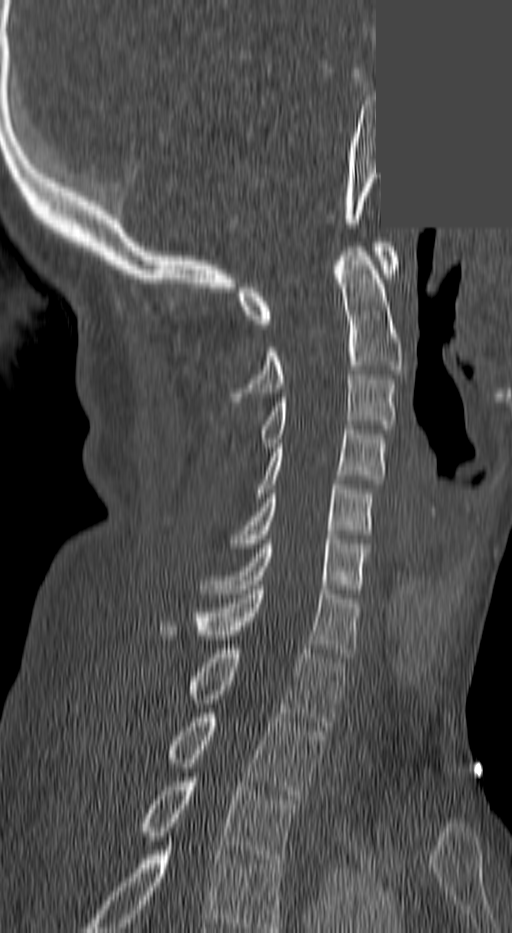 Spine computed tomography; sagittal view; bone-window reconstruction; a region of this slice is masked with a uniform fill

Labels in this scan begin with C1 at the top and end with T3 at the bottom.
<vertebrae><v name="C1" x1="239" y1="242" x2="399" y2="324"/><v name="C2" x1="235" y1="247" x2="403" y2="401"/><v name="C3" x1="260" y1="375" x2="395" y2="447"/><v name="C4" x1="257" y1="430" x2="384" y2="497"/><v name="C5" x1="232" y1="485" x2="373" y2="548"/><v name="C6" x1="202" y1="539" x2="366" y2="593"/><v name="C7" x1="192" y1="590" x2="359" y2="657"/><v name="T1" x1="188" y1="649" x2="344" y2="730"/><v name="T2" x1="170" y1="713" x2="323" y2="799"/><v name="T3" x1="144" y1="777" x2="293" y2="863"/></vertebrae>